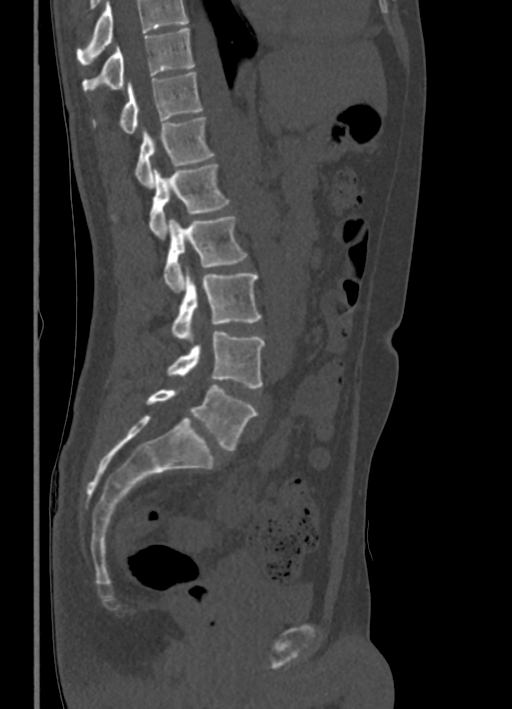 CT, spine. sagittal view. Bone window (WL 400, WW 1800). 512x709 px
Columns x1, y1, x2, y2 give each box's top-left and bottom-right pixels.
Vertebrae that run past the top of the scan are left unlabeled.
| vertebra | x1 | y1 | x2 | y2 |
|---|---|---|---|---|
| T10 | 82 | 27 | 194 | 95 |
| T11 | 91 | 72 | 203 | 133 |
| T12 | 134 | 117 | 214 | 188 |
| L1 | 111 | 163 | 229 | 238 |
| L2 | 163 | 216 | 247 | 292 |
| L3 | 170 | 273 | 261 | 339 |
| L4 | 167 | 331 | 264 | 388 |
| L5 | 146 | 385 | 256 | 450 |